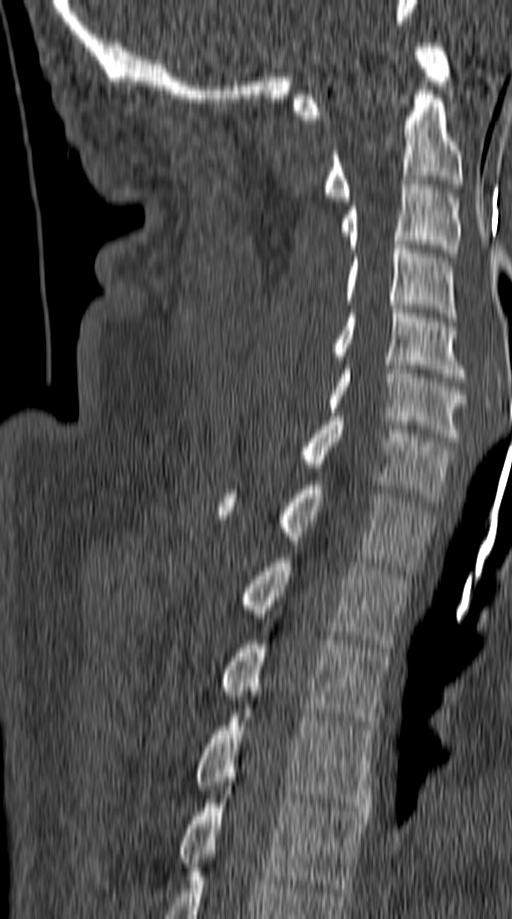

Computed tomography of the spine; sagittal view; W/L 1800/400 HU
Boxes are (x1, y1, x2, y2) in pixels. Vertebrae labeled: C1 at (294, 43, 450, 119), C2 at (324, 86, 464, 201), C3 at (341, 180, 461, 257), C4 at (345, 241, 457, 321), C5 at (334, 305, 466, 377), C6 at (327, 365, 466, 441), C7 at (300, 417, 454, 502), T1 at (216, 481, 433, 570), T2 at (242, 558, 409, 652), T3 at (221, 640, 389, 729), T4 at (194, 709, 375, 815), T5 at (180, 786, 368, 892).